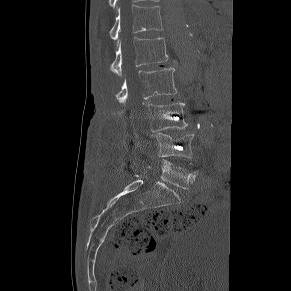
Spine computed tomography. sagittal view. 291x291 px

Each box given as x1,y1,x2,y2. The labeled vertebrae in this slice are: T12 at x1=109, y1=5, x2=163, y2=40, L1 at x1=110, y1=37, x2=167, y2=76, L2 at x1=116, y1=67, x2=176, y2=105, L3 at x1=148, y1=103, x2=187, y2=131, L4 at x1=156, y1=133, x2=193, y2=159, L5 at x1=148, y1=159, x2=199, y2=188.